Spine CT — sagittal view — W/L 1800/400 HU — 380 mm wide — 380x640 px
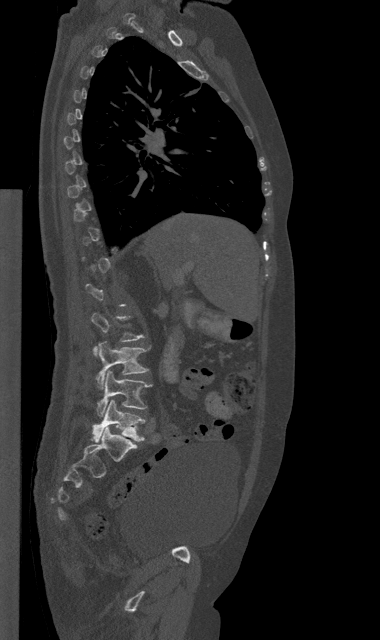
Boxes below are [x1, y1, x2, y2] in pixels.
A vertebra gets a box only on the slices from the first to the last where its cross-section is at least a third of its largest; on a slice outside that range it gets none.
{"vertebrae":{"L3":[96,341,147,389],"L4":[97,371,151,416],"L5":[92,400,145,442]}}